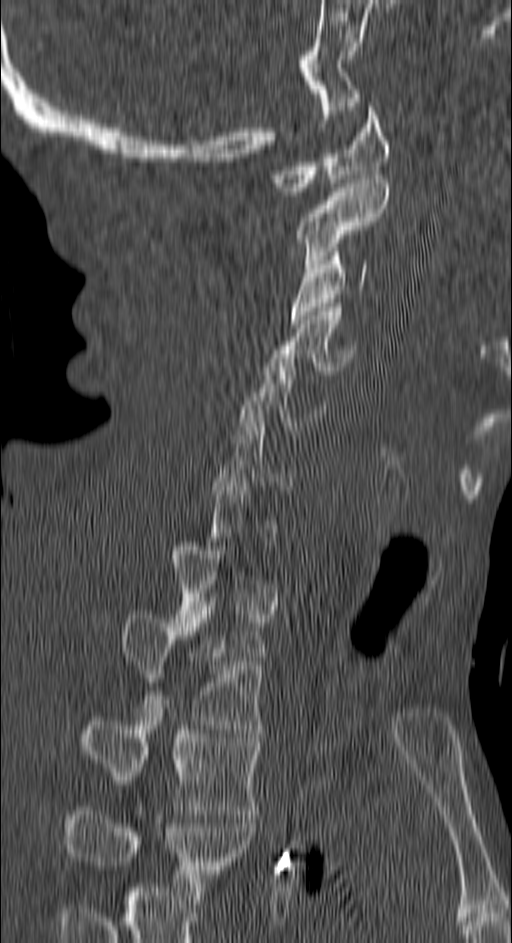 Spine CT · sagittal view
Boxes below are [x1, y1, x2, y2] in pixels.
Each vertebra is boxed only on the slices from the first to the last where its cross-section reaches a third of its largest, so a slice outside that range leaves it unboxed.
The highest labeled vertebra in this scan is C1; the lowest is T4.
{"vertebrae":{"C1":[271,102,389,195],"C2":[295,179,389,268],"C3":[291,252,367,323],"C4":[270,303,355,374],"C5":[240,354,325,434],"T2":[121,610,264,729],"T3":[83,713,260,814],"T4":[66,811,253,895]}}